CT spine. the image spans 461 mm across. sagittal view. bone-window reconstruction
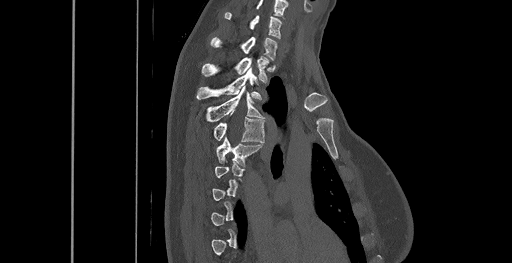 In the table, x1 and y1 are a box's top-left corner and x2 and y2 its bottom-right corner, in pixels.
A vertebra is boxed only from the first to the last slice where its cross-section is at least a third of its largest; slices outside that range leave it without a box.
In this scan, the topmost labeled vertebra is C6 and the lowest is T8.
| vertebra | x1 | y1 | x2 | y2 |
|---|---|---|---|---|
| C6 | 225 | 12 | 281 | 38 |
| C7 | 211 | 36 | 277 | 60 |
| T1 | 202 | 56 | 269 | 80 |
| T2 | 196 | 69 | 261 | 99 |
| T3 | 206 | 86 | 263 | 122 |
| T4 | 214 | 117 | 264 | 142 |
| T5 | 216 | 137 | 262 | 165 |